Computed tomography of the spine. sagittal view. 281x245 px. a region is blanked to uniform black, ending in a straight edge
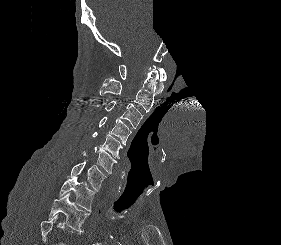 Box edges are left/top/right/bottom in pixels.
No box is given to a vertebra that the bottom edge of the scan cuts off.
Vertebra bounding boxes:
- C1: left=119, top=65, right=166, bottom=94
- C2: left=100, top=70, right=158, bottom=113
- C3: left=96, top=100, right=143, bottom=128
- C4: left=98, top=117, right=131, bottom=145
- C5: left=92, top=132, right=122, bottom=158
- C6: left=83, top=147, right=117, bottom=174
- C7: left=71, top=160, right=106, bottom=191
- T1: left=58, top=177, right=95, bottom=211
- T2: left=48, top=192, right=90, bottom=231